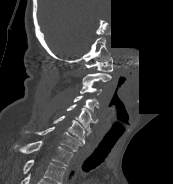

CT; sagittal view; W/L 1800/400 HU; 173x184 px; some of the image was removed or blocked out with constant pixels. Boxes are given in columns x1, y1, x2, y2, the pixel coordinates of their top-left and bottom-right corners.
This scan's labels start at C1 at the top and end at T1 at the bottom.
| vertebra | x1 | y1 | x2 | y2 |
|---|---|---|---|---|
| C1 | 85 | 56 | 112 | 71 |
| C2 | 82 | 73 | 111 | 84 |
| C3 | 80 | 82 | 101 | 95 |
| C4 | 73 | 95 | 99 | 111 |
| C5 | 66 | 104 | 98 | 132 |
| C6 | 53 | 115 | 90 | 144 |
| C7 | 25 | 126 | 82 | 151 |
| T1 | 14 | 140 | 73 | 166 |